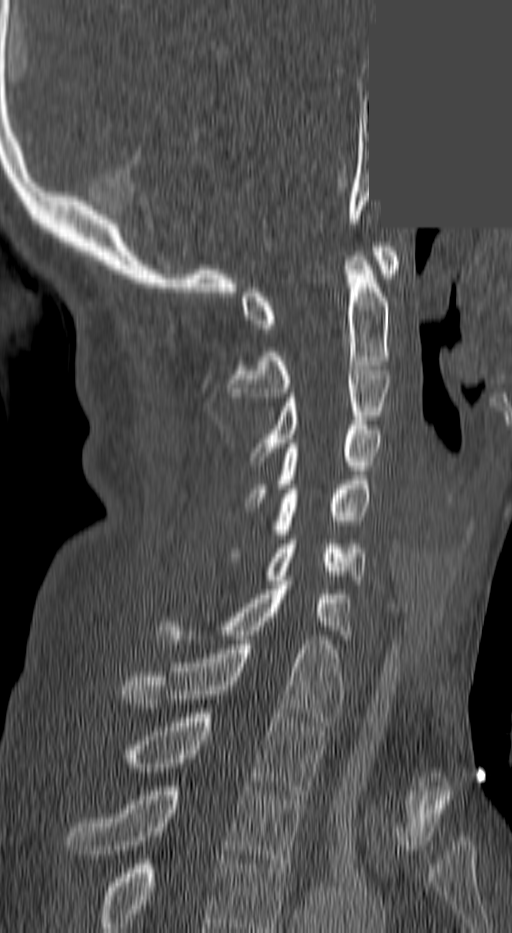 Spine computed tomography · sagittal reformat · bone-window reconstruction · 512x933 px · a region of this slice is masked with a uniform fill
This scan's labels start at C1 at the top and end at T3 at the bottom.
<vertebrae><v name="C1" x1="243" y1="247" x2="399" y2="333"/><v name="C2" x1="228" y1="256" x2="388" y2="397"/><v name="C3" x1="253" y1="366" x2="389" y2="461"/><v name="C4" x1="248" y1="425" x2="381" y2="502"/><v name="C5" x1="233" y1="480" x2="370" y2="557"/><v name="C6" x1="268" y1="539" x2="366" y2="584"/><v name="C7" x1="159" y1="581" x2="351" y2="644"/><v name="T1" x1="122" y1="640" x2="340" y2="726"/><v name="T2" x1="122" y1="713" x2="322" y2="794"/><v name="T3" x1="67" y1="786" x2="304" y2="868"/></vertebrae>